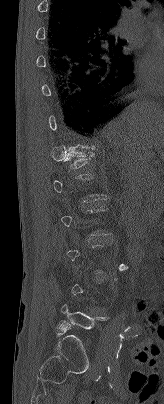

CT, spine. 164 mm across the image. sagittal view. W/L 1800/400 HU

Each row gives a vertebra's box as x1, y1, x2, y2 in pixels: top-left corner, then bottom-right corner.
Not every vertebra on this slice has a box: a vertebra is boxed only from the first to the last slice where its cross-section is at least a third of its largest, and this slice is outside that range for at least one of them.
| vertebra | x1 | y1 | x2 | y2 |
|---|---|---|---|---|
| T12 | 64 | 145 | 95 | 168 |
| L5 | 57 | 305 | 108 | 330 |